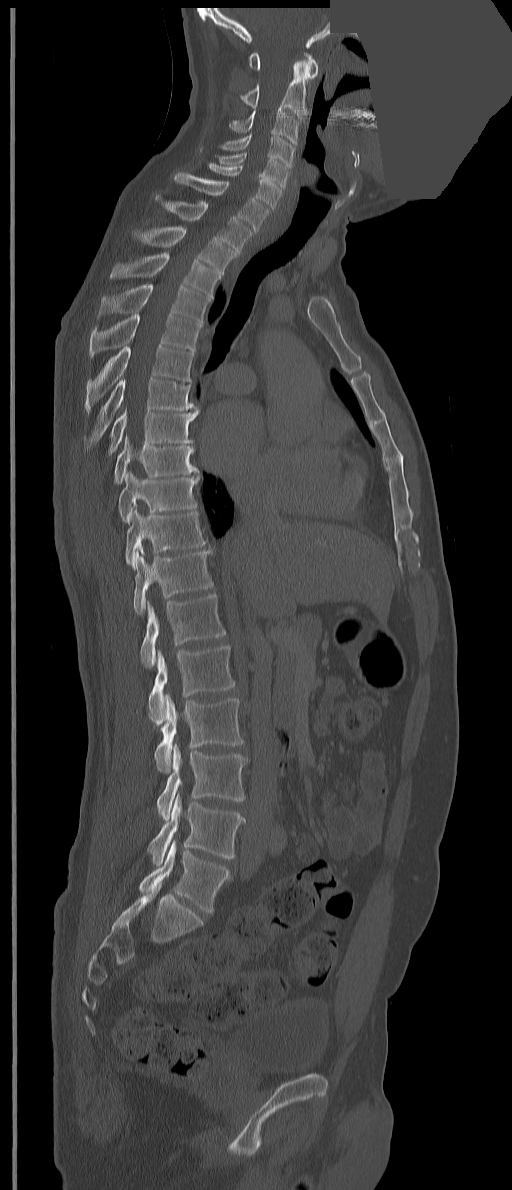
CT spine · 351 mm wide · sagittal view · 512x1190 px · part of the image has been replaced by a constant value. Columns x1, y1, x2, y2 give each box's top-left and bottom-right pixels.
The labels name an extra thoracic vertebra here, T13, which comes after T12 and before L1.
| vertebra | x1 | y1 | x2 | y2 |
|---|---|---|---|---|
| L5 | 139 | 840 | 230 | 912 |
| L4 | 147 | 794 | 246 | 865 |
| L3 | 156 | 743 | 247 | 820 |
| L2 | 153 | 694 | 243 | 773 |
| L1 | 148 | 645 | 234 | 725 |
| T13 | 140 | 594 | 225 | 669 |
| T12 | 133 | 550 | 212 | 615 |
| T11 | 126 | 507 | 206 | 569 |
| T10 | 118 | 471 | 199 | 524 |
| T9 | 114 | 435 | 198 | 483 |
| T8 | 108 | 409 | 200 | 454 |
| T7 | 86 | 377 | 196 | 448 |
| T6 | 85 | 344 | 193 | 413 |
| T5 | 89 | 313 | 202 | 358 |
| T4 | 99 | 283 | 210 | 323 |
| T3 | 110 | 253 | 220 | 298 |
| T2 | 139 | 225 | 236 | 274 |
| T1 | 155 | 194 | 252 | 254 |
| C7 | 174 | 172 | 269 | 232 |
| C6 | 208 | 163 | 282 | 209 |
| C5 | 215 | 152 | 288 | 188 |
| C4 | 218 | 133 | 294 | 168 |
| C3 | 229 | 108 | 300 | 144 |
| C2 | 240 | 59 | 306 | 118 |
| C1 | 248 | 52 | 317 | 78 |